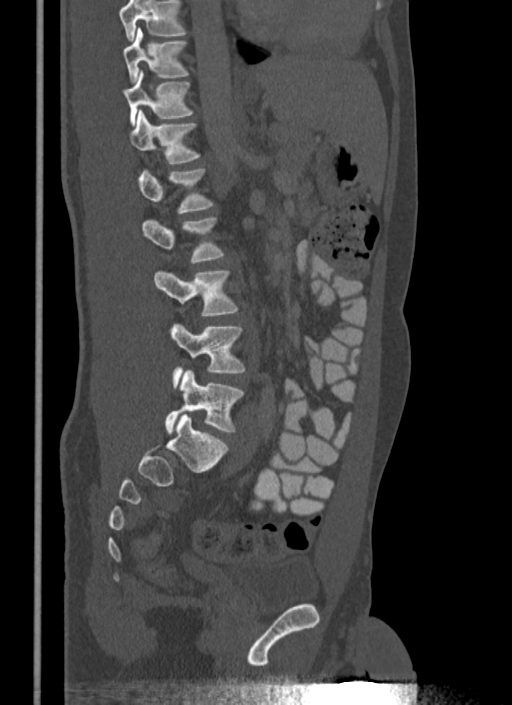

Computed tomography of the spine. sagittal view
No box is given to a vertebra that the top edge of the scan cuts off.
<vertebrae><v name="T10" x1="123" y1="27" x2="188" y2="83"/><v name="T11" x1="123" y1="71" x2="193" y2="125"/><v name="T12" x1="129" y1="110" x2="201" y2="163"/><v name="L1" x1="138" y1="169" x2="214" y2="213"/><v name="L2" x1="143" y1="217" x2="225" y2="263"/><v name="L3" x1="153" y1="270" x2="238" y2="315"/><v name="L4" x1="170" y1="324" x2="246" y2="388"/><v name="L5" x1="165" y1="370" x2="244" y2="434"/></vertebrae>